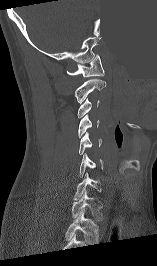

CT — sagittal view — bone-window reconstruction — 157x266 px — part of the image has been replaced by a constant value. Box edges are left/top/right/bottom in pixels.
In this scan, the topmost labeled vertebra is C1 and the lowest is T1.
| vertebra | x1 | y1 | x2 | y2 |
|---|---|---|---|---|
| T1 | 71 | 190 | 103 | 221 |
| C7 | 74 | 172 | 100 | 199 |
| C6 | 79 | 153 | 103 | 178 |
| C5 | 79 | 132 | 101 | 154 |
| C4 | 78 | 114 | 99 | 137 |
| C3 | 77 | 98 | 99 | 117 |
| C2 | 74 | 79 | 106 | 103 |
| C1 | 66 | 54 | 104 | 77 |